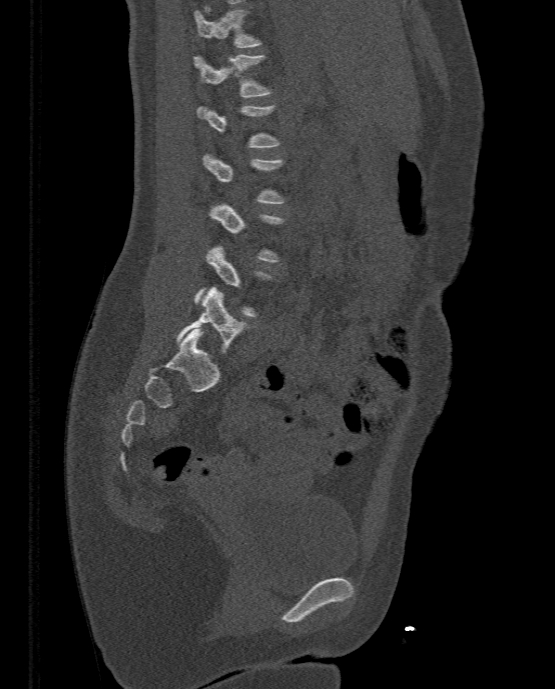

CT, spine · sagittal reformat · 333 mm image width · bone-window reconstruction
Boxes are (x1, y1, x2, y2) in pixels.
Each vertebra is boxed only on the slices from the first to the last where its cross-section reaches a third of its largest, so a slice outside that range leaves it unboxed.
Vertebra bounding boxes:
- T11: (194, 9, 260, 47)
- T12: (193, 53, 270, 96)
- L5: (177, 286, 245, 353)